CT spine — sagittal plane, index 254 — W/L 1800/400 HU — a portion of the image is blanked out (constant pixel value)
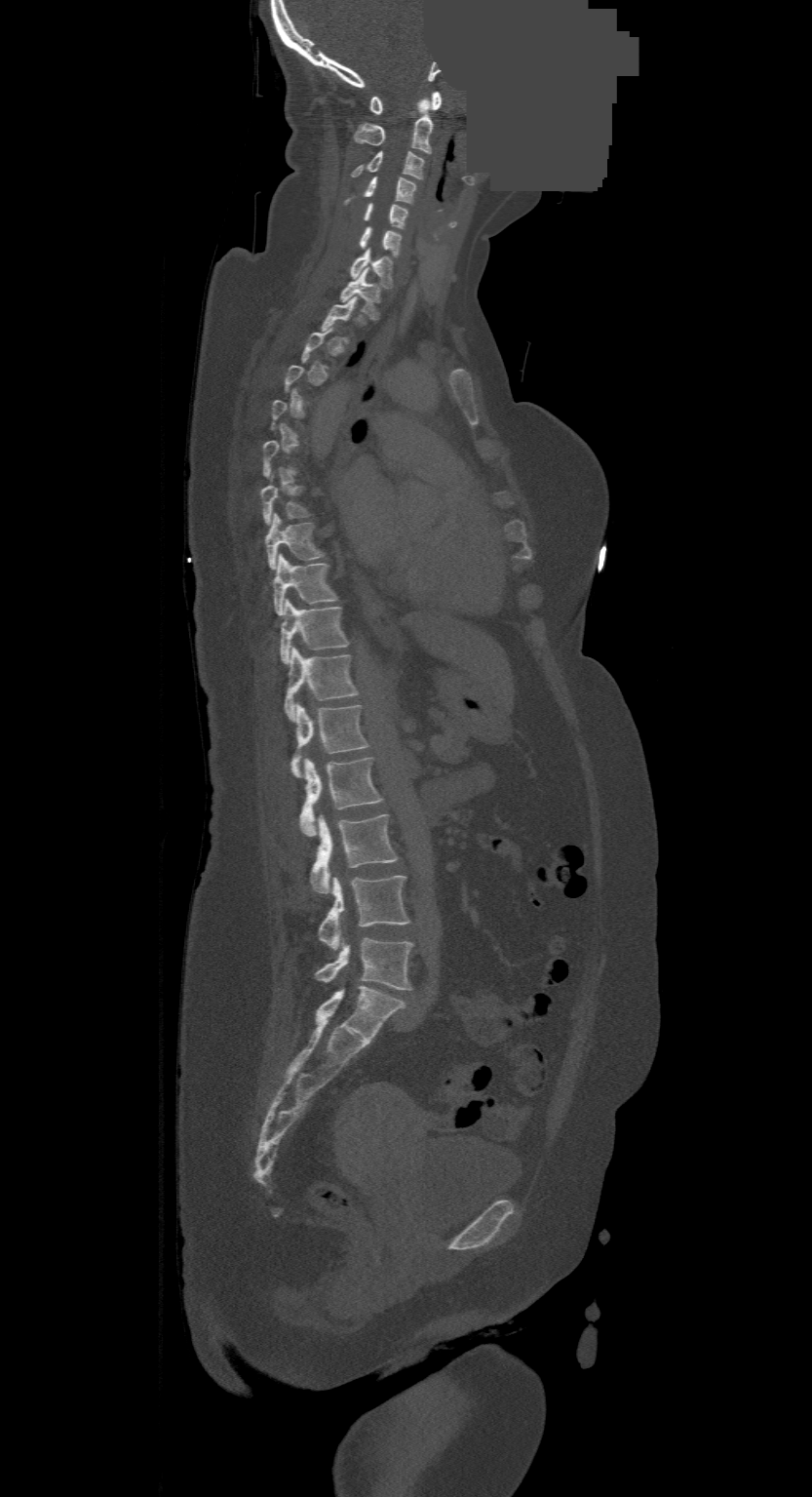
A vertebra gets a box only on the slices from the first to the last where its cross-section is at least a third of its largest; on a slice outside that range it gets none.
The highest labeled vertebra in this scan is C1; the lowest is L4.
<vertebrae><v name="C1" x1="369" y1="92" x2="442" y2="113"/><v name="C2" x1="354" y1="98" x2="432" y2="154"/><v name="C3" x1="352" y1="151" x2="424" y2="179"/><v name="C4" x1="344" y1="177" x2="416" y2="204"/><v name="C5" x1="364" y1="204" x2="408" y2="228"/><v name="C6" x1="359" y1="226" x2="402" y2="256"/><v name="C7" x1="349" y1="249" x2="393" y2="289"/><v name="T1" x1="339" y1="268" x2="380" y2="320"/><v name="T7" x1="260" y1="477" x2="308" y2="525"/><v name="T8" x1="265" y1="514" x2="325" y2="570"/><v name="T9" x1="273" y1="555" x2="337" y2="615"/><v name="T10" x1="279" y1="599" x2="348" y2="662"/><v name="T11" x1="284" y1="648" x2="356" y2="720"/><v name="T12" x1="290" y1="702" x2="367" y2="776"/><v name="L1" x1="298" y1="758" x2="383" y2="837"/><v name="L2" x1="311" y1="814" x2="398" y2="891"/><v name="L3" x1="319" y1="875" x2="408" y2="949"/><v name="L4" x1="316" y1="938" x2="413" y2="989"/></vertebrae>